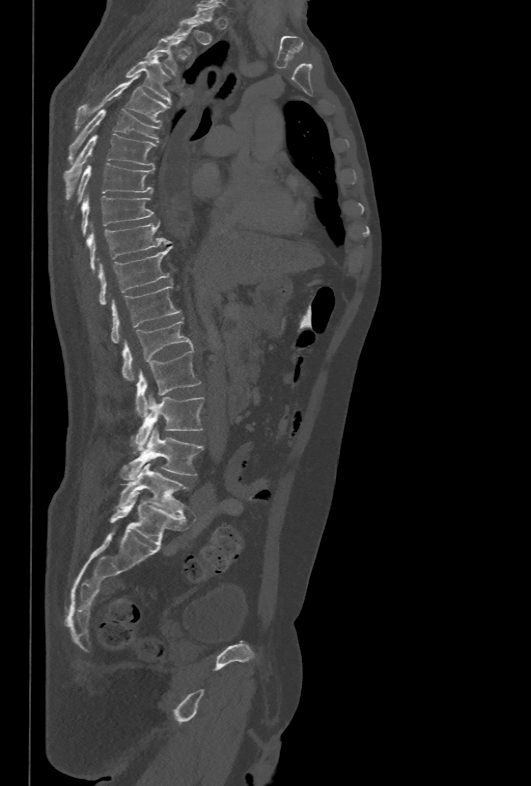

CT spine — sagittal view — bone-window reconstruction — the image spans 478 mm across
Boxes are (x1, y1, x2, y2) in pixels.
A vertebra gets a box only on the slices from the first to the last where its cross-section is at least a third of its largest; on a slice outside that range it gets none.
Vertebra bounding boxes:
- T3: (145, 37, 184, 74)
- T4: (126, 54, 170, 103)
- T5: (75, 75, 169, 129)
- T6: (68, 108, 160, 162)
- T7: (64, 134, 156, 198)
- T8: (78, 163, 154, 199)
- T9: (81, 194, 154, 234)
- T10: (87, 220, 169, 272)
- T11: (99, 247, 170, 304)
- T12: (111, 284, 181, 343)
- L1: (122, 318, 192, 382)
- L2: (136, 350, 200, 415)
- L3: (134, 394, 203, 449)
- L4: (120, 427, 203, 481)
- L5: (116, 463, 188, 514)